CT, spine; sagittal reformat; bone window
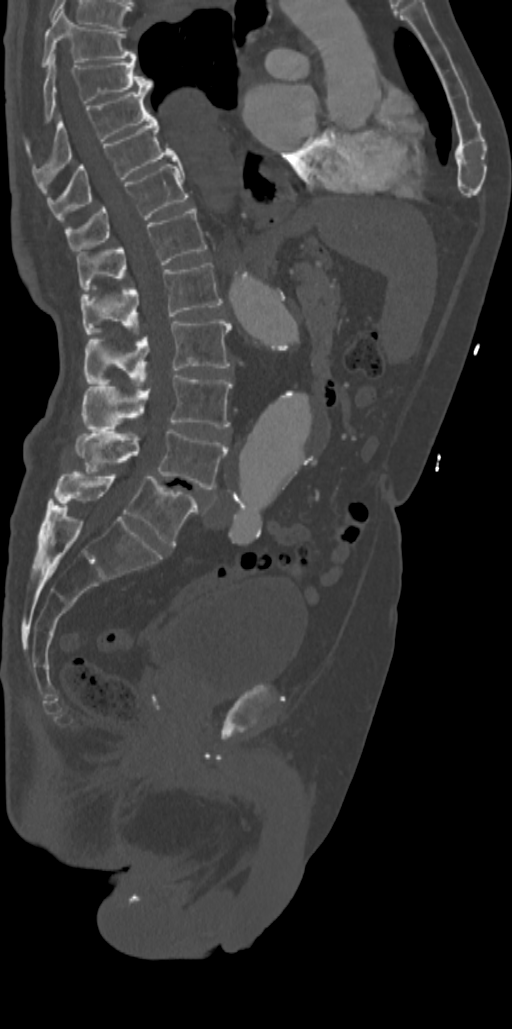

Box values are [left, top, right, bottom] in pixels.
{"vertebrae":{"T7":[42,9,135,66],"T8":[43,54,152,120],"T9":[33,90,150,174],"T10":[46,117,176,219],"T11":[64,164,187,251],"T12":[76,207,207,291],"L1":[81,263,222,334],"L2":[84,319,231,385],"L3":[84,373,232,430],"L4":[75,427,228,489],"L5":[54,470,198,545]}}